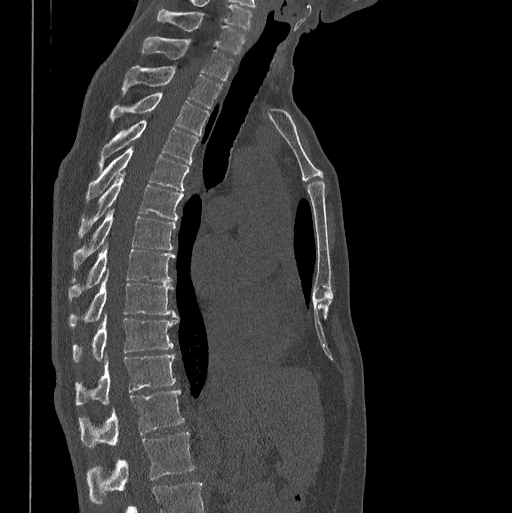

Computed tomography of the spine; sagittal view; 512x513 px
Box values are [left, top, right, bottom] in pixels.
{"vertebrae":{"L1":[87,432,194,503],"T12":[80,389,184,446],"T11":[76,354,175,405],"T10":[73,316,178,361],"T9":[68,272,176,328],"T8":[68,244,174,300],"T7":[73,210,175,269],"T6":[80,174,183,235],"T5":[87,145,189,199],"T4":[99,119,197,172],"T3":[110,93,209,134],"T2":[122,65,221,108],"T1":[141,37,233,81],"C7":[157,8,245,53]}}